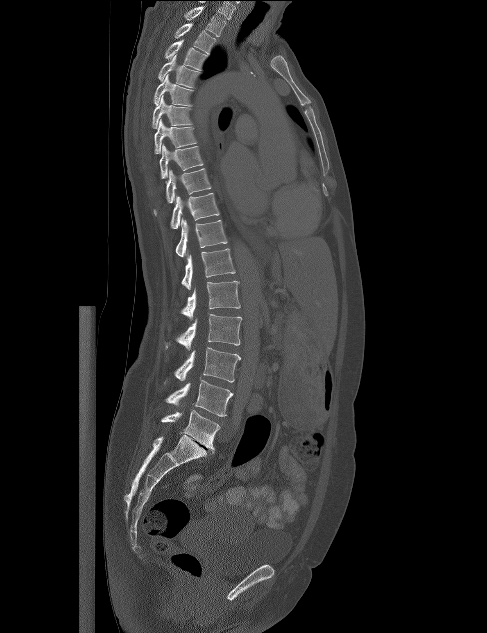

CT; sagittal reformat; Bone window (WL 400, WW 1800); 487x633 px

Boxes: x1:y1:x2:y2 in pixels. Vertebrae labeled: L5 at 160:410:219:452, L4 at 165:380:233:416, L3 at 164:347:240:384, L2 at 164:314:242:350, L1 at 180:281:240:319, T12 at 181:248:235:289, T11 at 175:218:227:257, T10 at 170:193:219:229, T9 at 153:168:211:215, T8 at 159:144:203:178, T7 at 154:119:197:154, T6 at 152:95:192:128, T5 at 153:74:193:106, T4 at 158:54:201:87, T3 at 164:39:208:70, T2 at 174:23:218:53, T1 at 183:6:226:36.